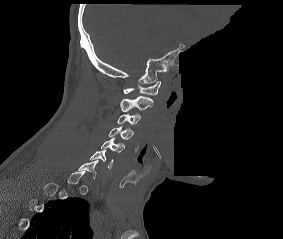
CT, spine — sagittal view — W/L 1800/400 HU — a region of this slice is masked with a uniform fill
In the table, x1 and y1 are a box's top-left corner and x2 and y2 its bottom-right corner, in pixels.
Not every vertebra on this slice has a box: a vertebra is boxed only from the first to the last slice where its cross-section is at least a third of its largest, and this slice is outside that range for at least one of them.
| vertebra | x1 | y1 | x2 | y2 |
|---|---|---|---|---|
| C1 | 123 | 81 | 160 | 95 |
| C2 | 120 | 96 | 153 | 111 |
| C3 | 117 | 113 | 141 | 125 |
| C4 | 109 | 126 | 134 | 139 |
| C5 | 101 | 138 | 125 | 152 |
| C6 | 90 | 150 | 113 | 168 |